Spine computed tomography; sagittal plane, index 252; bone window; 140 mm image width; 512x827 px; 10 vertebrae labeled in this scan
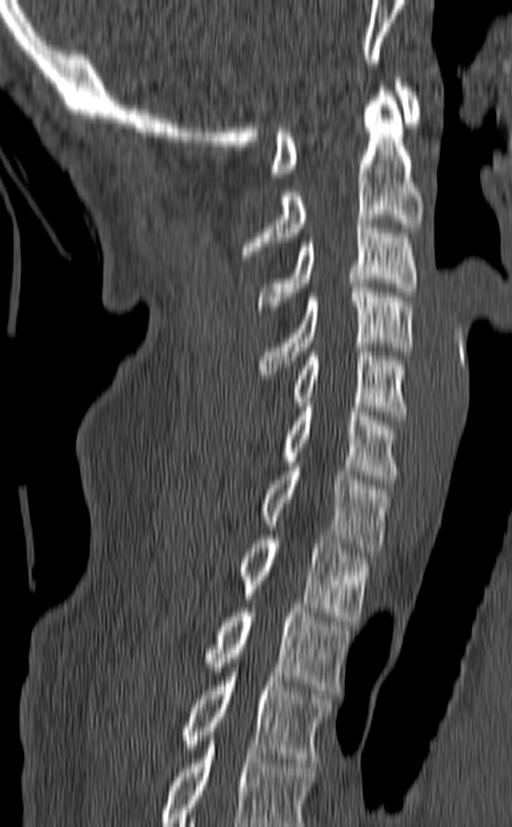 Boxes: x1 y1 x2 y2 (pixel coords, space-separated).
In this scan, the topmost labeled vertebra is C1 and the lowest is T3.
Vertebra bounding boxes:
- C1: 271 78 421 177
- C2: 242 87 422 260
- C3: 258 219 418 310
- C4: 255 283 414 378
- C5: 290 347 406 415
- C6: 283 402 400 484
- C7: 261 462 392 552
- T1: 235 535 370 621
- T2: 202 608 351 694
- T3: 181 658 333 762